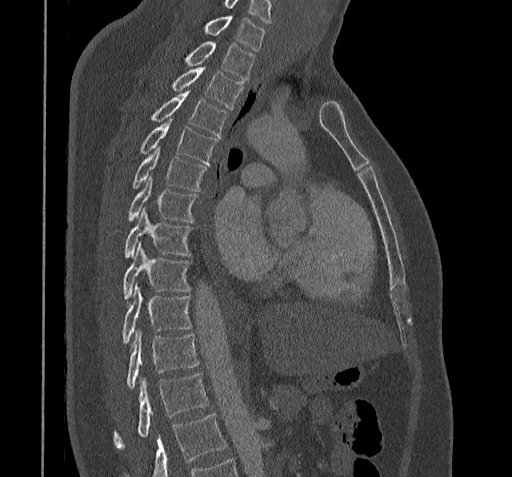

CT, spine. sagittal view. bone window. 512x477 px
Boxes are (x1, y1, x2, y2) in pixels. Vertebrae that run past the bottom of the scan are left unlabeled. The highest labeled vertebra in this scan is C7; the lowest is T11. 12 vertebrae labeled — T11 at (113, 374, 209, 447); T10 at (125, 331, 199, 390); T9 at (122, 286, 191, 345); T8 at (122, 245, 191, 301); T7 at (124, 209, 193, 258); T6 at (127, 176, 197, 222); T5 at (132, 147, 207, 191); T4 at (138, 119, 217, 165); T3 at (148, 92, 228, 136); T2 at (170, 66, 242, 109); T1 at (183, 42, 255, 81); C7 at (203, 16, 264, 51).